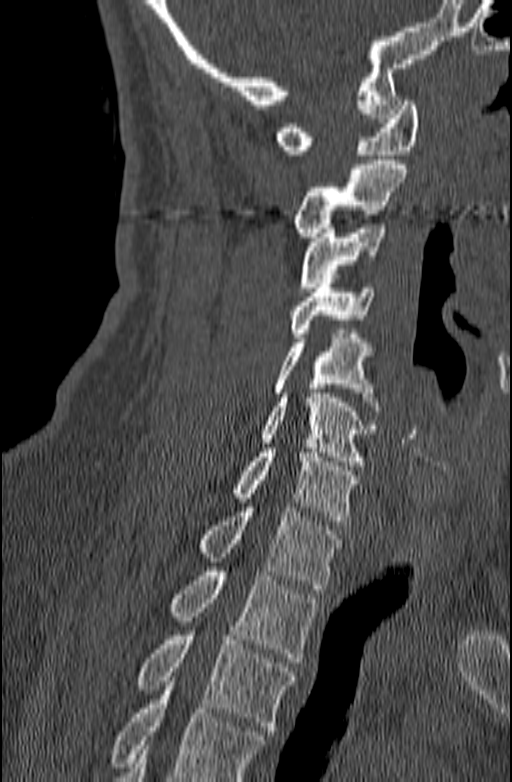 CT · 140 mm image width · sagittal view · bone-window reconstruction · 512x782 px

Box edges are left/top/right/bottom in pixels.
A vertebra cut off by the bottom edge of the scan is not labeled and has no box.
| vertebra | x1 | y1 | x2 | y2 |
|---|---|---|---|---|
| C1 | 275 | 101 | 418 | 154 |
| C2 | 290 | 160 | 406 | 237 |
| C3 | 299 | 224 | 385 | 292 |
| C4 | 290 | 274 | 374 | 337 |
| C5 | 274 | 334 | 378 | 410 |
| C6 | 261 | 393 | 375 | 465 |
| C7 | 232 | 448 | 359 | 525 |
| T1 | 195 | 507 | 341 | 589 |
| T2 | 170 | 571 | 318 | 662 |
| T3 | 137 | 631 | 296 | 735 |